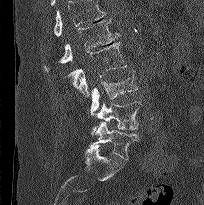 CT spine — sagittal view — Bone window (WL 400, WW 1800) — 204x205 px
Box edges are left/top/right/bottom in pixels.
A vertebra cut off by the top edge of the scan is not labeled and has no box.
Vertebra bounding boxes:
- L5: left=88, top=122, right=139, bottom=159
- L4: left=89, top=101, right=141, bottom=135
- L3: left=90, top=70, right=138, bottom=113
- L2: left=68, top=42, right=126, bottom=96
- L1: left=43, top=19, right=119, bottom=71